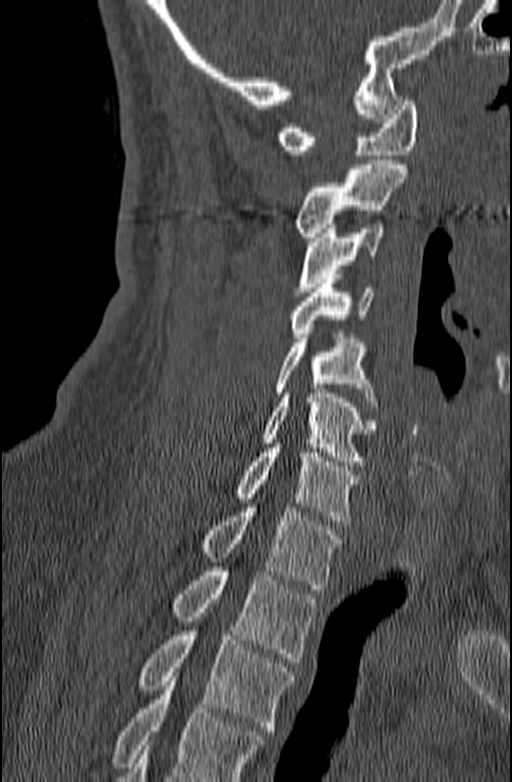
Computed tomography of the spine — 140 mm across the image — sagittal view — bone window
Where the bottom of the scan cuts through a vertebra, that vertebra gets no label or box.
<vertebrae><v name="T3" x1="139" y1="631" x2="293" y2="735"/><v name="T2" x1="173" y1="567" x2="317" y2="662"/><v name="T1" x1="202" y1="507" x2="341" y2="589"/><v name="C7" x1="235" y1="443" x2="359" y2="525"/><v name="C6" x1="261" y1="389" x2="375" y2="465"/><v name="C5" x1="275" y1="334" x2="377" y2="406"/><v name="C4" x1="290" y1="274" x2="373" y2="337"/><v name="C3" x1="296" y1="224" x2="383" y2="296"/><v name="C2" x1="294" y1="160" x2="406" y2="241"/><v name="C1" x1="277" y1="96" x2="418" y2="154"/></vertebrae>